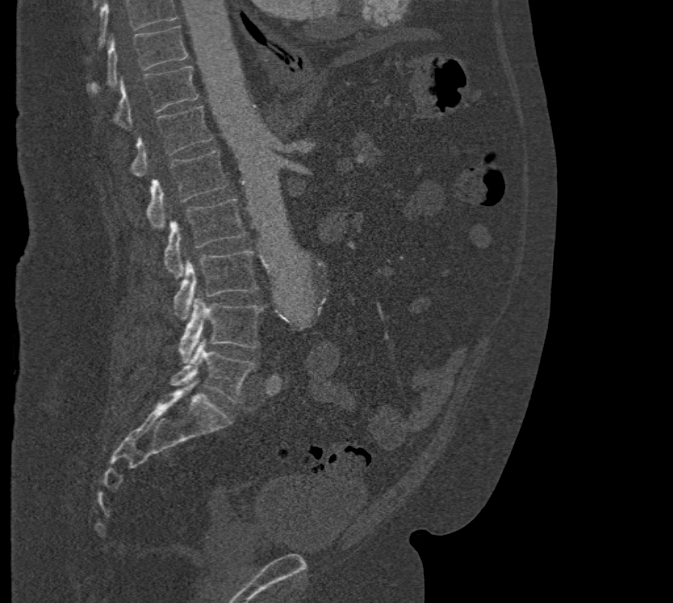 CT · sagittal view · W/L 1800/400 HU. In the table, x1 and y1 are a box's top-left corner and x2 and y2 its bottom-right corner, in pixels.
A vertebra cut off by the top edge of the scan is not labeled and has no box.
| vertebra | x1 | y1 | x2 | y2 |
|---|---|---|---|---|
| T10 | 87 | 26 | 187 | 94 |
| T11 | 112 | 66 | 199 | 128 |
| T12 | 130 | 106 | 213 | 175 |
| L1 | 146 | 150 | 229 | 227 |
| L2 | 164 | 199 | 246 | 275 |
| L3 | 172 | 250 | 258 | 319 |
| L4 | 179 | 298 | 263 | 361 |
| L5 | 170 | 339 | 255 | 402 |